CT spine; sagittal view; bone-window reconstruction; 512x609 px; 11 vertebrae labeled in this scan
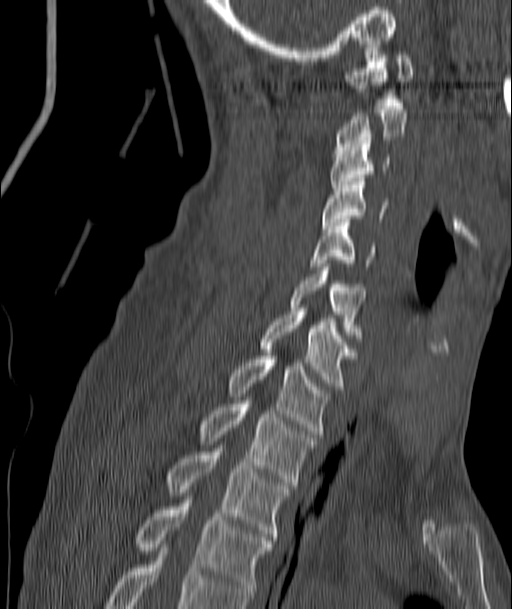

Each box given as x1,y1,x2,y2.
| vertebra | x1 | y1 | x2 | y2 |
|---|---|---|---|---|
| C1 | 343 | 44 | 413 | 105 |
| C2 | 335 | 106 | 408 | 150 |
| C3 | 329 | 144 | 389 | 191 |
| C4 | 321 | 178 | 386 | 228 |
| C5 | 310 | 219 | 375 | 266 |
| C6 | 291 | 267 | 364 | 341 |
| C7 | 258 | 311 | 356 | 389 |
| T1 | 228 | 356 | 328 | 437 |
| T2 | 198 | 404 | 315 | 488 |
| T3 | 165 | 452 | 290 | 540 |
| T4 | 132 | 500 | 274 | 598 |